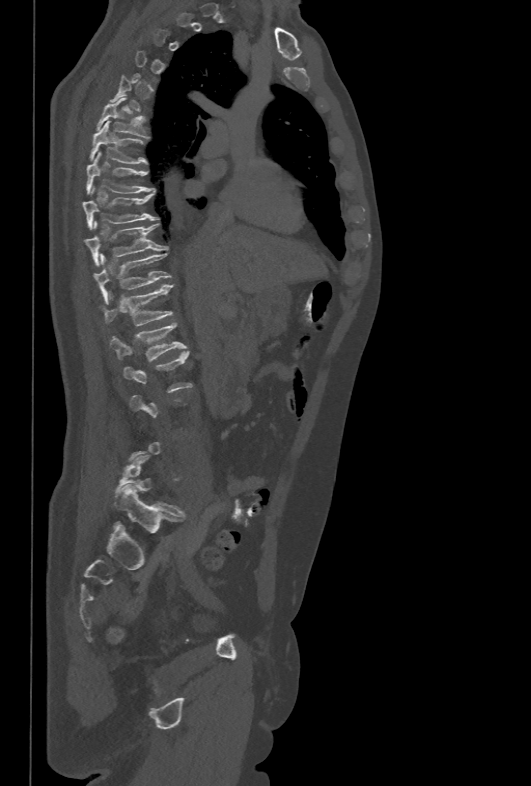 CT spine · sagittal view · bone window · 478 mm across the image
A vertebra gets a box only on the slices from the first to the last where its cross-section is at least a third of its largest; on a slice outside that range it gets none.
<vertebrae><v name="T6" x1="96" y1="98" x2="147" y2="137"/><v name="T7" x1="90" y1="120" x2="146" y2="164"/><v name="T8" x1="87" y1="152" x2="154" y2="194"/><v name="T9" x1="82" y1="187" x2="157" y2="229"/><v name="T10" x1="84" y1="220" x2="167" y2="265"/><v name="T11" x1="93" y1="253" x2="171" y2="302"/><v name="T12" x1="101" y1="285" x2="172" y2="326"/><v name="L1" x1="109" y1="323" x2="187" y2="361"/></vertebrae>